Spine computed tomography; sagittal view; W/L 1800/400 HU; scan covers 16 annotated vertebrae; 385 mm across the image
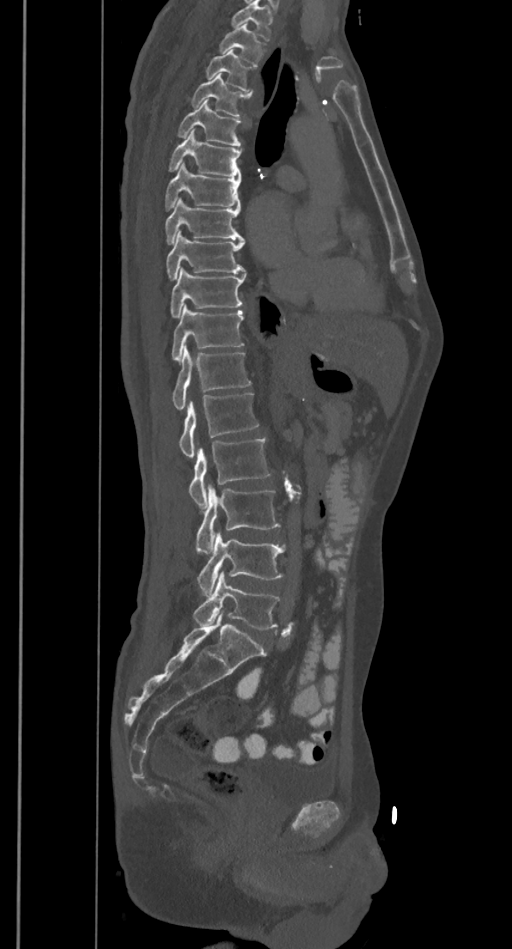 Each row gives a vertebra's box as x1, y1, x2, y2 in pixels: top-left corner, then bottom-right corner.
Vertebrae that run past the top of the scan are left unlabeled.
| vertebra | x1 | y1 | x2 | y2 |
|---|---|---|---|---|
| T2 | 218 | 24 | 266 | 65 |
| T3 | 205 | 50 | 255 | 91 |
| T4 | 190 | 73 | 252 | 117 |
| T5 | 177 | 99 | 240 | 146 |
| T6 | 167 | 130 | 241 | 177 |
| T7 | 165 | 163 | 241 | 210 |
| T8 | 165 | 197 | 244 | 243 |
| T9 | 166 | 231 | 245 | 280 |
| T10 | 170 | 268 | 247 | 317 |
| T11 | 172 | 305 | 244 | 359 |
| T12 | 171 | 347 | 250 | 410 |
| L1 | 178 | 394 | 258 | 457 |
| L2 | 189 | 437 | 270 | 509 |
| L3 | 195 | 485 | 281 | 553 |
| L4 | 197 | 533 | 285 | 596 |
| L5 | 193 | 571 | 281 | 629 |